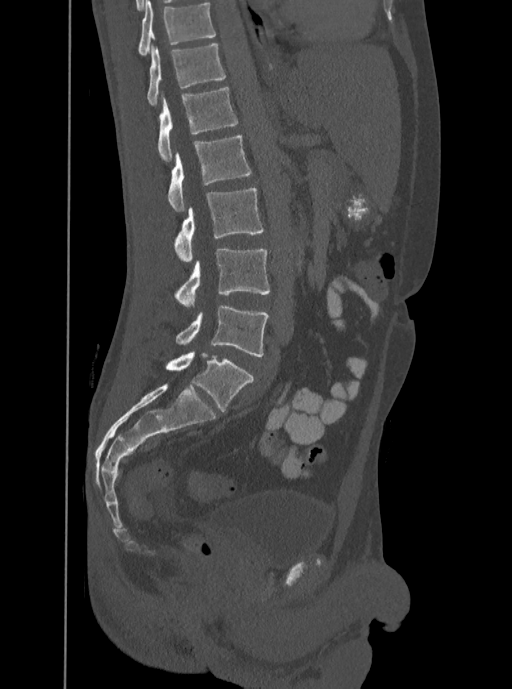
Spine computed tomography · sagittal view · image 350 mm wide · bone window

Columns x1, y1, x2, y2 give each box's top-left and bottom-right pixels.
The highest labeled vertebra in this scan is T12; the lowest is L5.
| vertebra | x1 | y1 | x2 | y2 |
|---|---|---|---|---|
| T12 | 146 | 43 | 226 | 106 |
| L1 | 158 | 86 | 237 | 161 |
| L2 | 168 | 134 | 252 | 211 |
| L3 | 174 | 188 | 264 | 261 |
| L4 | 172 | 249 | 269 | 306 |
| L5 | 175 | 305 | 268 | 357 |